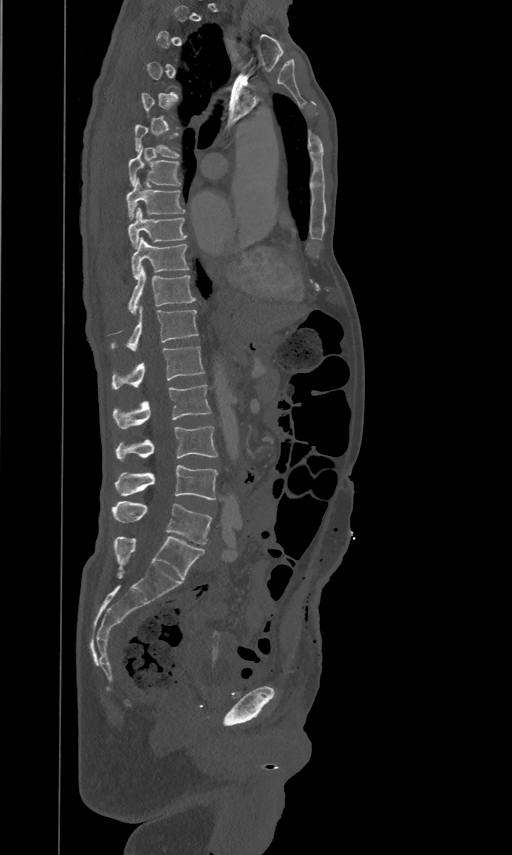
CT, spine; sagittal view; W/L 1800/400 HU; 461 mm image width
A vertebra gets a box only on the slices from the first to the last where its cross-section is at least a third of its largest; on a slice outside that range it gets none.
<vertebrae><v name="T6" x1="134" y1="123" x2="179" y2="156"/><v name="T7" x1="129" y1="145" x2="180" y2="185"/><v name="T8" x1="127" y1="177" x2="185" y2="218"/><v name="T9" x1="128" y1="206" x2="186" y2="248"/><v name="T10" x1="131" y1="236" x2="189" y2="278"/><v name="T11" x1="128" y1="265" x2="195" y2="313"/><v name="T12" x1="111" y1="305" x2="198" y2="350"/><v name="L1" x1="111" y1="345" x2="204" y2="389"/><v name="L2" x1="112" y1="383" x2="211" y2="429"/><v name="L3" x1="116" y1="425" x2="217" y2="460"/><v name="L4" x1="115" y1="465" x2="217" y2="500"/><v name="L5" x1="111" y1="501" x2="212" y2="544"/></vertebrae>